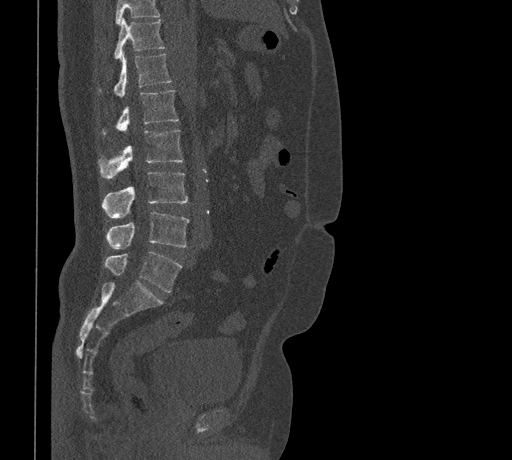
CT — sagittal view
In the table, x1 and y1 are a box's top-left corner and x2 and y2 its bottom-right corner, in pixels.
Where the top of the scan cuts through a vertebra, that vertebra gets no label or box.
| vertebra | x1 | y1 | x2 | y2 |
|---|---|---|---|---|
| L5 | 104 | 252 | 181 | 292 |
| L4 | 107 | 211 | 189 | 249 |
| L3 | 102 | 172 | 188 | 218 |
| L2 | 99 | 130 | 183 | 179 |
| L1 | 102 | 90 | 179 | 135 |
| T12 | 99 | 52 | 171 | 97 |
| T11 | 114 | 17 | 164 | 59 |